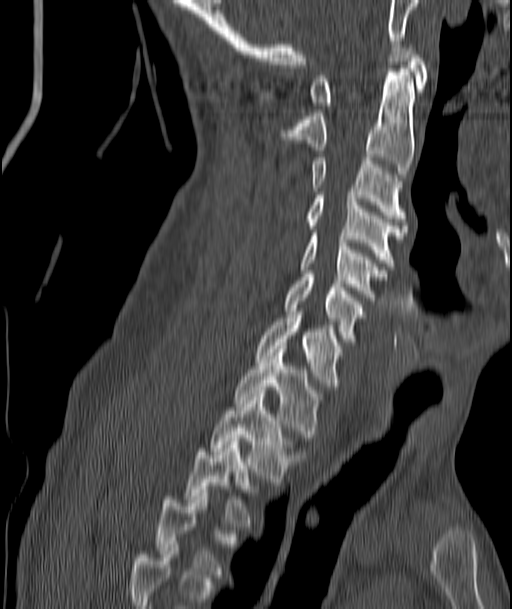 CT, spine · sagittal view · bone window · 512x609 px · image 187 mm wide
Bounding boxes as [x1, y1, x2, y2] in pixel coordinates.
Each vertebra is boxed only on the slices from the first to the last where its cross-section reaches a third of its largest, so a slice outside that range leaves it unboxed.
C1: [310, 44, 427, 105]
C2: [286, 68, 413, 177]
C3: [313, 157, 405, 221]
C4: [308, 192, 405, 266]
C5: [299, 233, 386, 300]
C6: [286, 274, 364, 341]
C7: [255, 311, 342, 386]
T1: [234, 349, 320, 437]
T2: [212, 394, 293, 482]
T3: [187, 438, 252, 526]